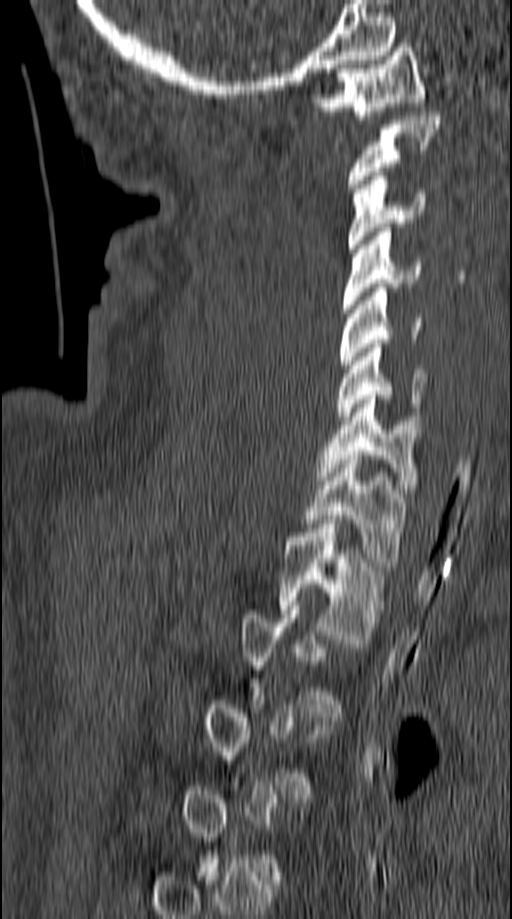 CT — the image is 149 mm wide — sagittal view

In the table, x1 and y1 are a box's top-left corner and x2 and y2 its bottom-right corner, in pixels.
Not every vertebra on this slice has a box: a vertebra is boxed only from the first to the last slice where its cross-section is at least a third of its largest, and this slice is outside that range for at least one of them.
| vertebra | x1 | y1 | x2 | y2 |
|---|---|---|---|---|
| C1 | 310 | 43 | 426 | 119 |
| C2 | 348 | 112 | 440 | 192 |
| C3 | 348 | 172 | 426 | 252 |
| C4 | 342 | 228 | 421 | 313 |
| C5 | 338 | 283 | 423 | 368 |
| C6 | 337 | 344 | 426 | 420 |
| C7 | 317 | 391 | 420 | 493 |
| T1 | 302 | 455 | 407 | 566 |
| T2 | 280 | 524 | 385 | 643 |